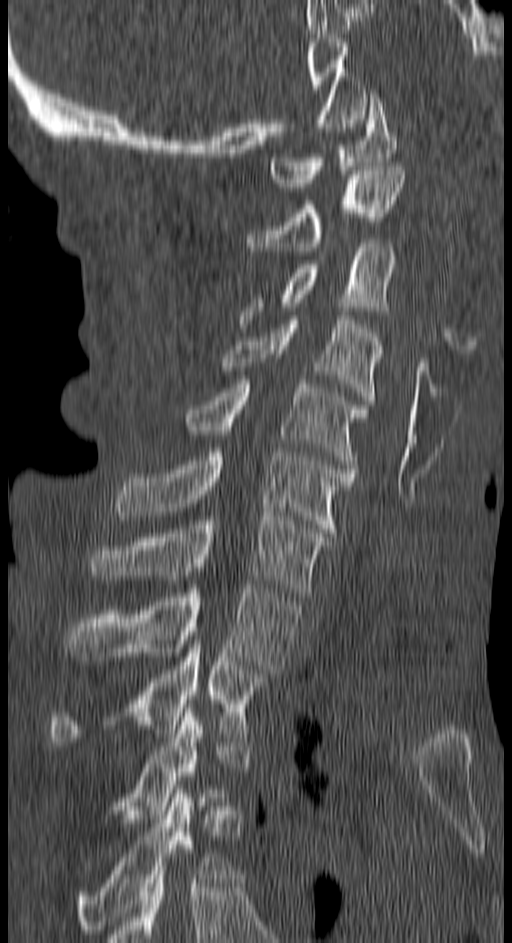 Spine computed tomography — sagittal view — 150 mm across the image — 512x943 px
Box values are [left, top, right, bottom] in pixels.
{"vertebrae":{"C1":[267,94,396,187],"C2":[247,166,405,251],"C3":[239,239,396,323],"C4":[220,316,383,404],"C5":[186,380,369,468],"C6":[114,452,355,537],"C7":[90,516,331,596],"T1":[66,585,299,673],"T2":[49,644,269,746],"T3":[97,708,212,831],"T4":[76,789,232,933]}}